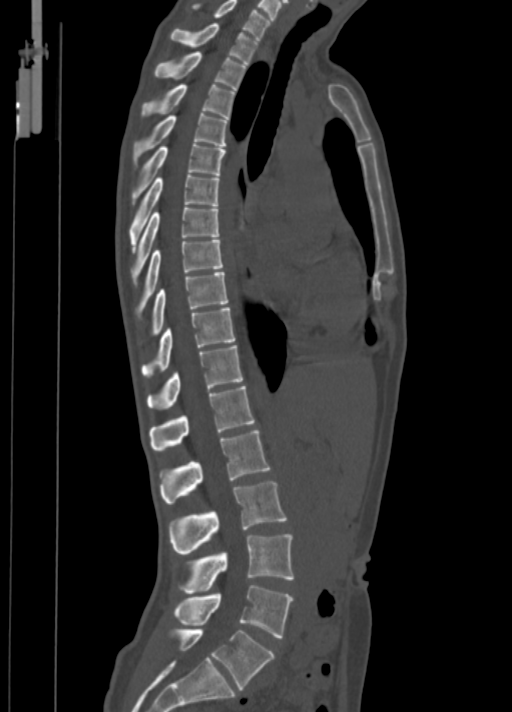 CT spine; sagittal view

Each box given as x1,y1,x2,y2.
C7: x1=191, y1=0, x2=271, y2=38
T1: x1=169, y1=23, x2=258, y2=63
T2: x1=155, y1=51, x2=246, y2=90
T3: x1=142, y1=85, x2=234, y2=119
T4: x1=133, y1=113, x2=227, y2=166
T5: x1=131, y1=143, x2=226, y2=204
T6: x1=128, y1=174, x2=220, y2=252
T7: x1=131, y1=206, x2=218, y2=284
T8: x1=139, y1=240, x2=223, y2=311
T9: x1=152, y1=272, x2=228, y2=334
T10: x1=142, y1=307, x2=234, y2=376
T11: x1=146, y1=345, x2=243, y2=409
T12: x1=149, y1=386, x2=255, y2=451
L1: x1=159, y1=430, x2=271, y2=504
L2: x1=169, y1=481, x2=287, y2=553
L3: x1=180, y1=534, x2=294, y2=593
L4: x1=174, y1=585, x2=293, y2=638
L5: x1=174, y1=629, x2=274, y2=689